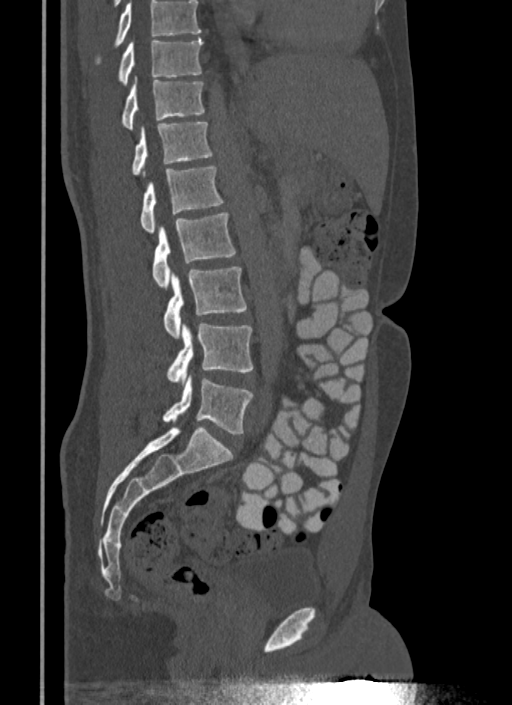
CT — sagittal view — bone window
Boxes below are [x1, y1, x2, y2] in pixels.
No box is given to a vertebra that the top edge of the scan cuts off.
{"vertebrae":{"T10":[119,38,202,85],"T11":[122,77,204,130],"T12":[132,122,213,175],"L1":[141,166,223,232],"L2":[152,212,235,290],"L3":[164,267,247,339],"L4":[167,322,253,385],"L5":[162,375,253,434]}}